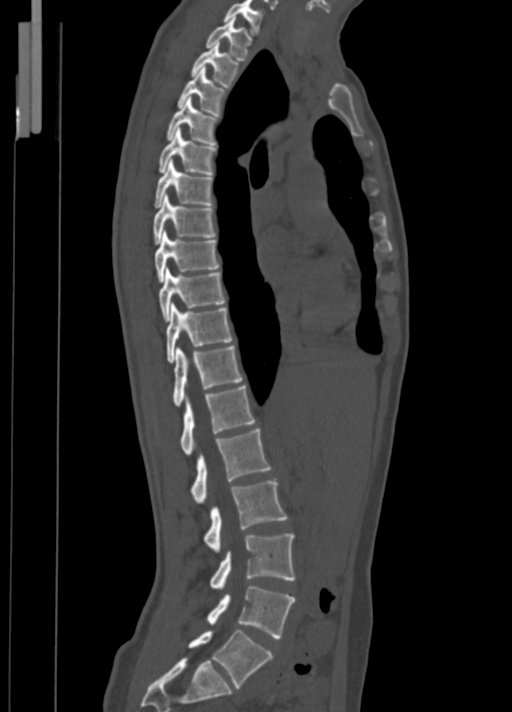
CT spine; sagittal view; bone-window reconstruction; 512x712 px
Columns x1, y1, x2, y2 give each box's top-left and bottom-right pixels.
| vertebra | x1 | y1 | x2 | y2 |
|---|---|---|---|---|
| C7 | 224 | 0 | 263 | 34 |
| T1 | 206 | 18 | 252 | 60 |
| T2 | 191 | 42 | 239 | 87 |
| T3 | 178 | 66 | 226 | 116 |
| T4 | 167 | 97 | 217 | 145 |
| T5 | 159 | 127 | 217 | 175 |
| T6 | 155 | 158 | 212 | 207 |
| T7 | 153 | 195 | 215 | 243 |
| T8 | 155 | 231 | 220 | 281 |
| T9 | 159 | 268 | 226 | 321 |
| T10 | 167 | 303 | 231 | 363 |
| T11 | 172 | 345 | 242 | 406 |
| T12 | 180 | 385 | 255 | 455 |
| L1 | 191 | 429 | 271 | 504 |
| L2 | 203 | 480 | 287 | 552 |
| L3 | 210 | 534 | 294 | 589 |
| L4 | 207 | 585 | 294 | 638 |
| L5 | 188 | 629 | 272 | 687 |